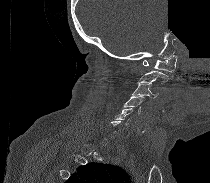 CT, spine · sagittal view · a portion of the image is blanked out (constant pixel value)
Boxes are (x1, y1, x2, y2) in pixels.
A vertebra is boxed only from the first to the last slice where its cross-section is at least a third of its largest; slices outside that range leave it without a box.
C1: (143, 55, 177, 72)
C2: (139, 70, 169, 84)
C3: (130, 81, 158, 98)
C4: (124, 96, 145, 113)
C5: (114, 108, 132, 124)